Computed tomography of the spine · 427 mm across the image · sagittal view · 9 vertebrae labeled in this scan
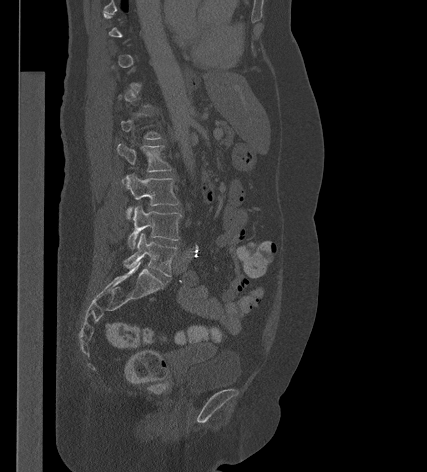
Box edges are left/top/right/bottom in pixels.
Not every vertebra on this slice has a box: a vertebra is boxed only from the first to the last slice where its cross-section is at least a third of its largest, and this slice is outside that range for at least one of them.
Vertebra bounding boxes:
- L5: left=124, top=233, right=177, bottom=276
- L4: left=127, top=205, right=181, bottom=248
- L3: left=126, top=173, right=179, bottom=219
- L2: left=117, top=143, right=172, bottom=172